CT spine; Sagittal slice 46/75; image 283 mm wide; part of the image is constant black where the scan was masked
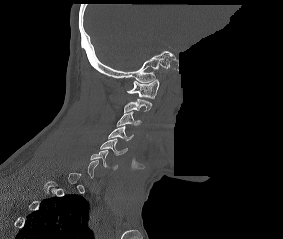
In the table, x1 and y1 are a box's top-left corner and x2 and y2 its bottom-right corner, in pixels.
Each vertebra is boxed only on the slices from the first to the last where its cross-section reaches a third of its largest, so a slice outside that range leaves it unboxed.
| vertebra | x1 | y1 | x2 | y2 |
|---|---|---|---|---|
| C1 | 127 | 79 | 159 | 98 |
| C2 | 124 | 99 | 152 | 112 |
| C3 | 116 | 111 | 141 | 126 |
| C4 | 108 | 126 | 133 | 141 |
| C5 | 100 | 138 | 127 | 155 |
| C6 | 90 | 150 | 117 | 170 |